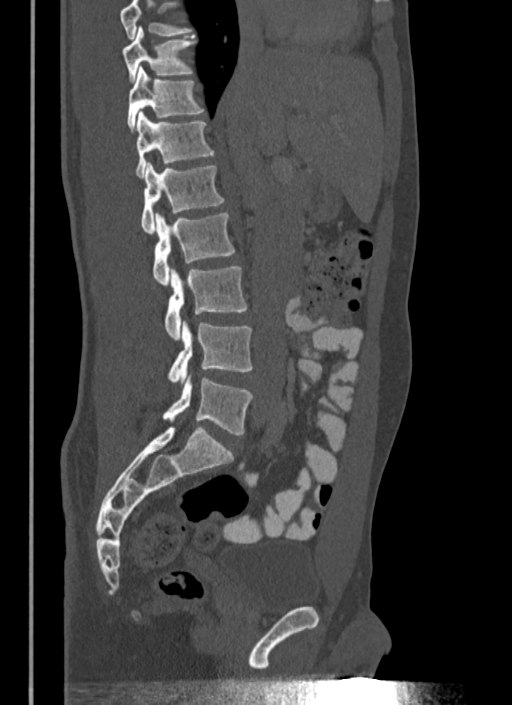 Spine computed tomography; sagittal reformat
Box edges are left/top/right/bottom in pixels.
Where the top of the scan cuts through a vertebra, that vertebra gets no label or box.
| vertebra | x1 | y1 | x2 | y2 |
|---|---|---|---|---|
| T10 | 122 | 26 | 196 | 82 |
| T11 | 128 | 66 | 204 | 132 |
| T12 | 135 | 111 | 214 | 177 |
| L1 | 141 | 163 | 225 | 232 |
| L2 | 153 | 212 | 235 | 285 |
| L3 | 164 | 267 | 247 | 339 |
| L4 | 167 | 321 | 252 | 381 |
| L5 | 162 | 376 | 252 | 434 |